Computed tomography of the spine · sagittal view · 182x258 px
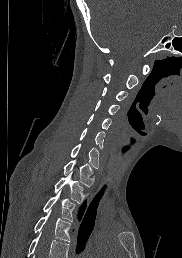

No box is given to a vertebra that the bottom edge of the scan cuts off.
<vertebrae><v name="C1" x1="109" y1="59" x2="150" y2="74"/><v name="C2" x1="103" y1="73" x2="138" y2="89"/><v name="C3" x1="102" y1="87" x2="128" y2="101"/><v name="C4" x1="94" y1="99" x2="119" y2="115"/><v name="C5" x1="87" y1="114" x2="111" y2="129"/><v name="C6" x1="79" y1="127" x2="104" y2="148"/><v name="C7" x1="70" y1="143" x2="99" y2="168"/><v name="T1" x1="63" y1="159" x2="92" y2="186"/><v name="T2" x1="54" y1="171" x2="84" y2="203"/><v name="T3" x1="43" y1="191" x2="76" y2="221"/><v name="T4" x1="34" y1="209" x2="71" y2="241"/></vertebrae>